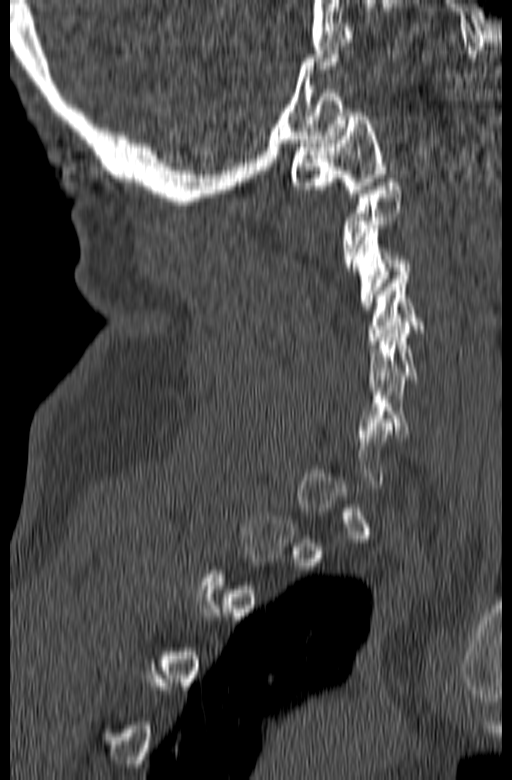

Spine CT — sagittal view — 512x780 px
Each row gives a vertebra's box as x1, y1, x2, y2 in pixels: top-left corner, then bottom-right corner.
A vertebra is boxed only from the first to the last slice where its cross-section is at least a third of its largest; slices outside that range leave it without a box.
| vertebra | x1 | y1 | x2 | y2 |
|---|---|---|---|---|
| C5 | 367 | 322 | 420 | 391 |
| C4 | 368 | 272 | 423 | 344 |
| C3 | 352 | 225 | 411 | 309 |
| C1 | 290 | 112 | 385 | 197 |